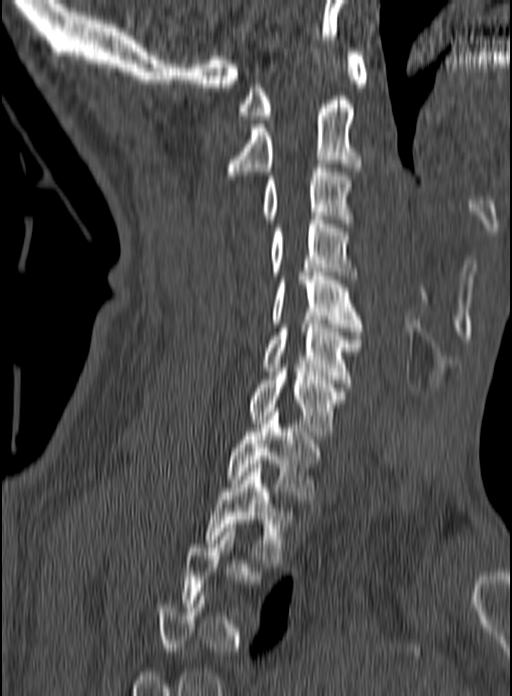 Spine CT — sagittal view — Bone window (WL 400, WW 1800)
Not every vertebra on this slice has a box: a vertebra is boxed only from the first to the last slice where its cross-section is at least a third of its largest, and this slice is outside that range for at least one of them.
<vertebrae><v name="C1" x1="238" y1="52" x2="367" y2="119"/><v name="C2" x1="225" y1="96" x2="362" y2="179"/><v name="C3" x1="263" y1="164" x2="353" y2="223"/><v name="C4" x1="270" y1="220" x2="357" y2="279"/><v name="C5" x1="273" y1="272" x2="362" y2="335"/><v name="C6" x1="263" y1="320" x2="362" y2="387"/><v name="C7" x1="248" y1="368" x2="346" y2="435"/><v name="T1" x1="228" y1="408" x2="319" y2="503"/><v name="T2" x1="206" y1="464" x2="293" y2="563"/></vertebrae>